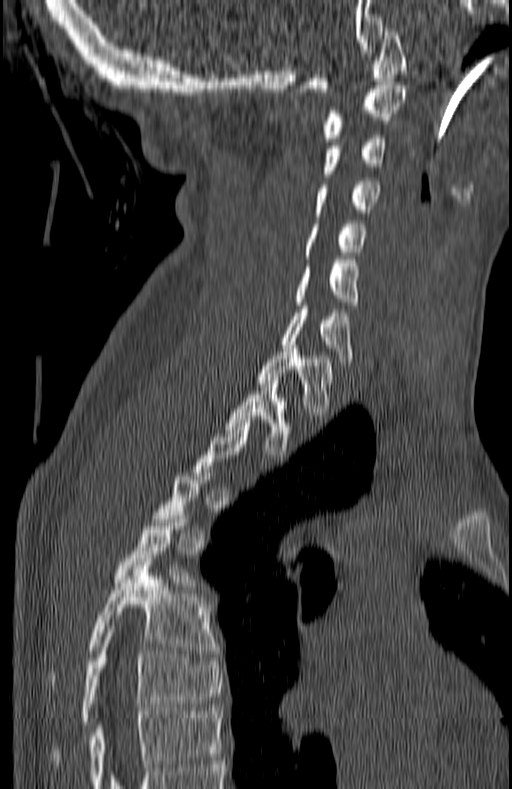

CT spine; sagittal view
Box edges are left/top/right/bottom in pixels.
A vertebra is boxed only from the first to the last slice where its cross-section is at least a third of its largest; slices outside that range leave it without a box.
Vertebra bounding boxes:
- T7: left=49, top=629, right=222, bottom=763
- T6: left=49, top=562, right=216, bottom=692
- T5: left=115, top=512, right=190, bottom=582
- T2: left=226, top=380, right=293, bottom=458
- T1: left=257, top=348, right=333, bottom=415
- C7: left=283, top=306, right=353, bottom=365
- C6: left=294, top=260, right=358, bottom=308
- C5: left=302, top=224, right=367, bottom=255
- C4: left=314, top=181, right=380, bottom=212
- C3: left=322, top=135, right=387, bottom=177
- C2: left=322, top=85, right=407, bottom=141
- C1: left=295, top=28, right=407, bottom=95